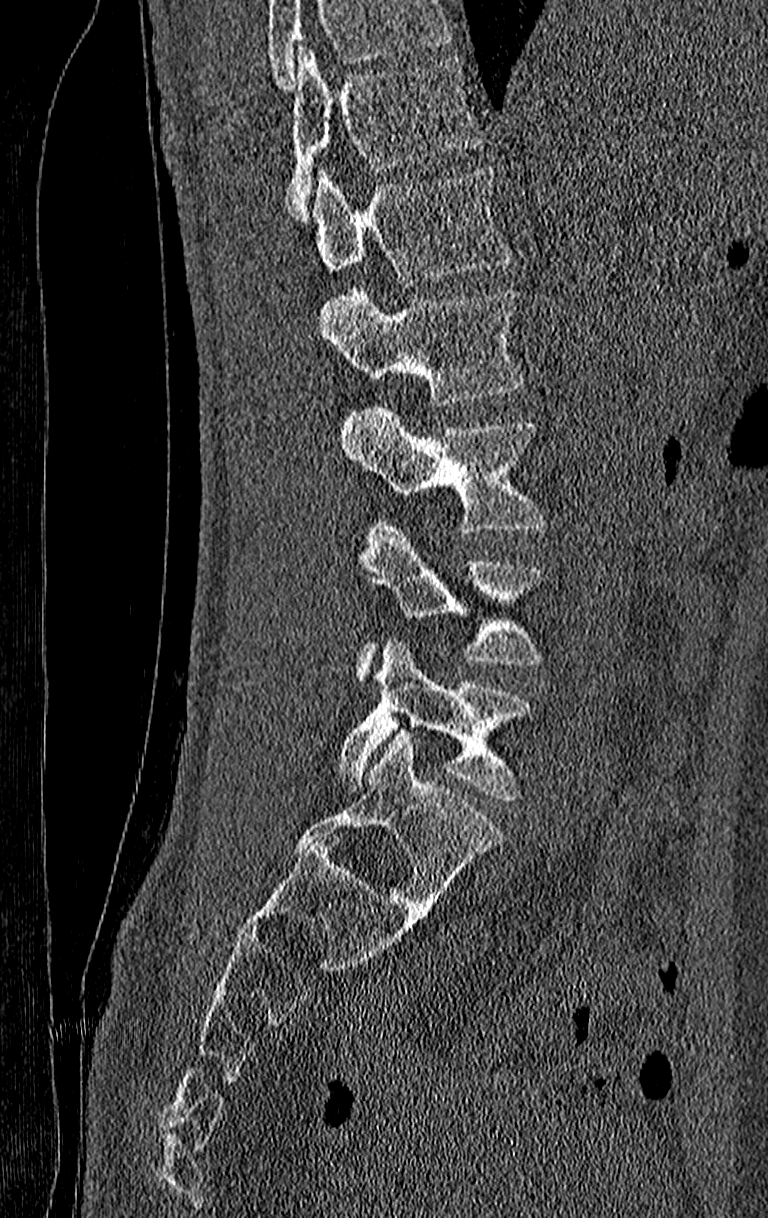
CT; 210 mm across the image; sagittal view; 768x1218 px

Boxes: x1 y1 x2 y2 (pixel coords, space-separated). Where the top of the scan cuts through a vertebra, that vertebra gets no label or box. The highest labeled vertebra in this scan is T11; the lowest is L4. The labeled vertebrae in this slice are: T11 at 288 48 480 223, T12 at 313 166 510 285, L1 at 320 286 524 405, L2 at 342 403 546 534, L3 at 357 520 543 684, L4 at 339 640 532 800.